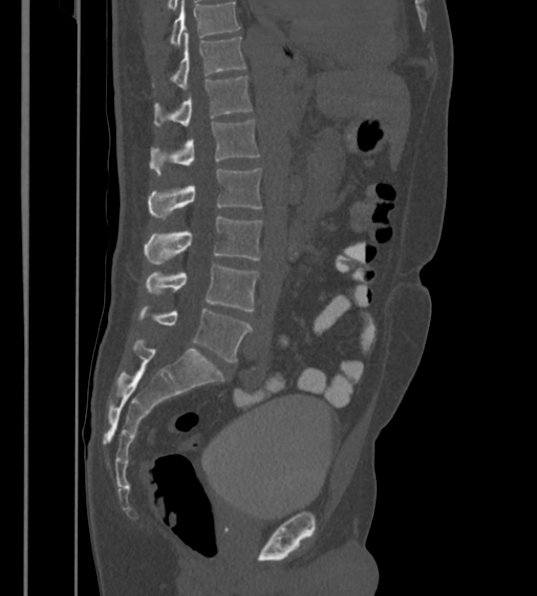
Computed tomography of the spine — the image spans 430 mm across — sagittal view

Box edges are left/top/right/bottom in pixels.
The highest labeled vertebra in this scan is T12; the lowest is L6.
These labels give the spine a sixth lumbar vertebra, L6, below L5.
| vertebra | x1 | y1 | x2 | y2 |
|---|---|---|---|---|
| L6 | 137 | 304 | 252 | 363 |
| L5 | 145 | 264 | 259 | 311 |
| L4 | 145 | 216 | 262 | 264 |
| L3 | 148 | 167 | 261 | 219 |
| L2 | 151 | 119 | 260 | 174 |
| L1 | 155 | 75 | 252 | 126 |
| T12 | 175 | 36 | 245 | 89 |